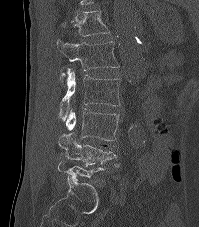 CT spine; the image spans 199 mm across; sagittal view
Boxes: x1 y1 x2 y2 (pixel coords, space-separated). Each vertebra is boxed only on the slices from the first to the last where its cross-section reaches a third of its largest, so a slice outside that range leaves it unboxed. In this scan, the topmost labeled vertebra is T12 and the lowest is L5. 5 vertebrae labeled — T12 at 62 11 109 36; L1 at 56 39 118 76; L2 at 58 68 120 119; L3 at 66 108 119 141; L4 at 58 132 121 168.